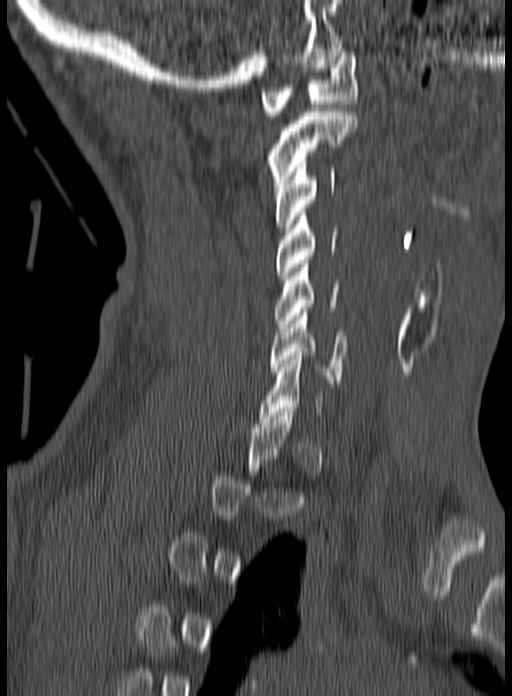 Computed tomography of the spine; sagittal view; bone window; 512x696 px. Bounding boxes as [x1, y1, x2, y2] in pixel coordinates.
A vertebra is boxed only from the first to the last slice where its cross-section is at least a third of its largest; slices outside that range leave it without a box.
Vertebra bounding boxes:
- C6: [269, 308, 347, 383]
- C5: [275, 260, 338, 331]
- C4: [276, 212, 337, 279]
- C3: [273, 160, 336, 231]
- C2: [264, 112, 357, 187]
- C1: [260, 48, 358, 115]